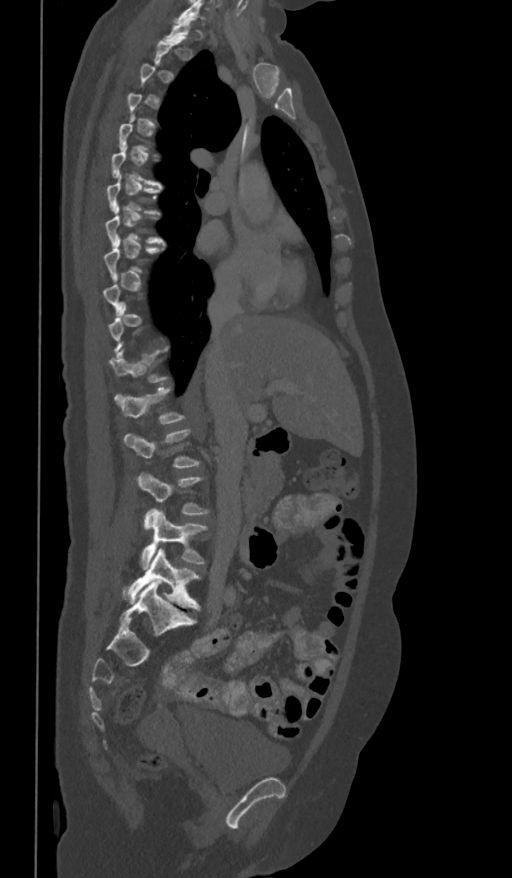
CT, spine · sagittal view · 361 mm image width

Box values are [left, top, right, bottom] in pixels.
Not every vertebra on this slice has a box: a vertebra is boxed only from the first to the last slice where its cross-section is at least a third of its largest, and this slice is outside that range for at least one of them.
{"vertebrae":{"L1":[115,388,185,424],"L2":[123,429,199,467],"L3":[136,472,209,529],"L4":[142,509,206,570],"L5":[122,548,200,609]}}